CT spine; sagittal view; 526x1214 px; scan covers 24 annotated vertebrae; a portion of the image is blanked out (constant pixel value)
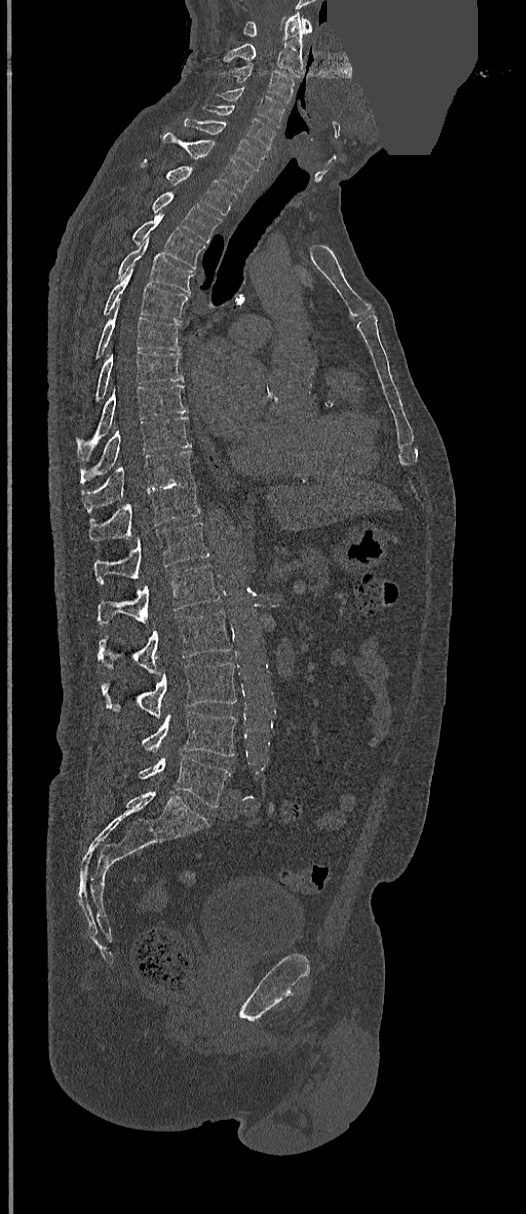 Boxes are (x1, y1, x2, y2) in pixels.
Vertebra bounding boxes:
- C1: (244, 17, 311, 36)
- C2: (224, 13, 303, 76)
- C3: (229, 64, 296, 103)
- C4: (217, 87, 285, 126)
- C5: (204, 106, 276, 149)
- C6: (184, 119, 266, 171)
- C7: (162, 131, 253, 192)
- T1: (142, 163, 236, 215)
- T2: (151, 191, 222, 243)
- T3: (131, 214, 206, 268)
- T4: (117, 239, 194, 293)
- T5: (103, 267, 189, 322)
- T6: (94, 310, 180, 360)
- T7: (94, 351, 183, 402)
- T8: (77, 384, 187, 456)
- T9: (81, 417, 190, 483)
- T10: (82, 450, 193, 512)
- T11: (88, 481, 200, 540)
- T12: (94, 523, 208, 583)
- L1: (97, 564, 220, 626)
- L2: (99, 610, 232, 673)
- L3: (103, 663, 236, 718)
- L4: (142, 711, 236, 756)
- L5: (139, 754, 230, 808)